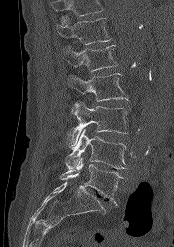 CT, spine. sagittal view. image 174 mm wide
Bounding boxes as [x1, y1, x2, y2] in pixel coordinates.
Vertebrae that run past the top of the scan are left unlabeled.
Vertebra bounding boxes:
- T12: [57, 15, 111, 44]
- L1: [61, 45, 117, 72]
- L2: [67, 73, 128, 112]
- L3: [67, 101, 128, 148]
- L4: [65, 129, 127, 169]
- L5: [60, 156, 124, 205]